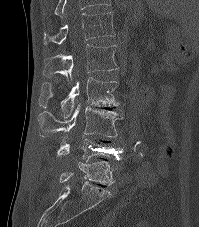

CT spine. sagittal view. W/L 1800/400 HU. Boxes are (x1, y1, x2, y2) in pixels. Labels in this scan begin with T12 at the top and end with L5 at the bottom. The labeled vertebrae in this slice are: T12 at (43, 12, 115, 45), L1 at (43, 44, 117, 82), L2 at (39, 77, 119, 120), L3 at (38, 103, 123, 137), L4 at (57, 135, 123, 162), L5 at (60, 161, 114, 185).